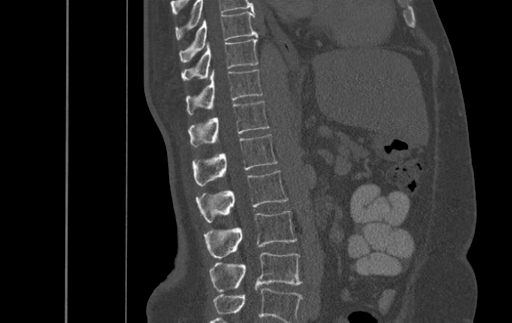

Spine CT · sagittal view · Bone window (WL 400, WW 1800) · image 500 mm wide
Boxes below are [x1, y1, x2, y2] in pixels.
In this scan, the topmost labeled vertebra is T9 and the lowest is L4.
{"vertebrae":{"T9":[179,11,257,61],"T10":[182,37,258,80],"T11":[186,69,262,115],"T12":[189,100,269,146],"L1":[193,134,276,185],"L2":[196,170,288,222],"L3":[204,211,296,258],"L4":[209,252,301,292]}}